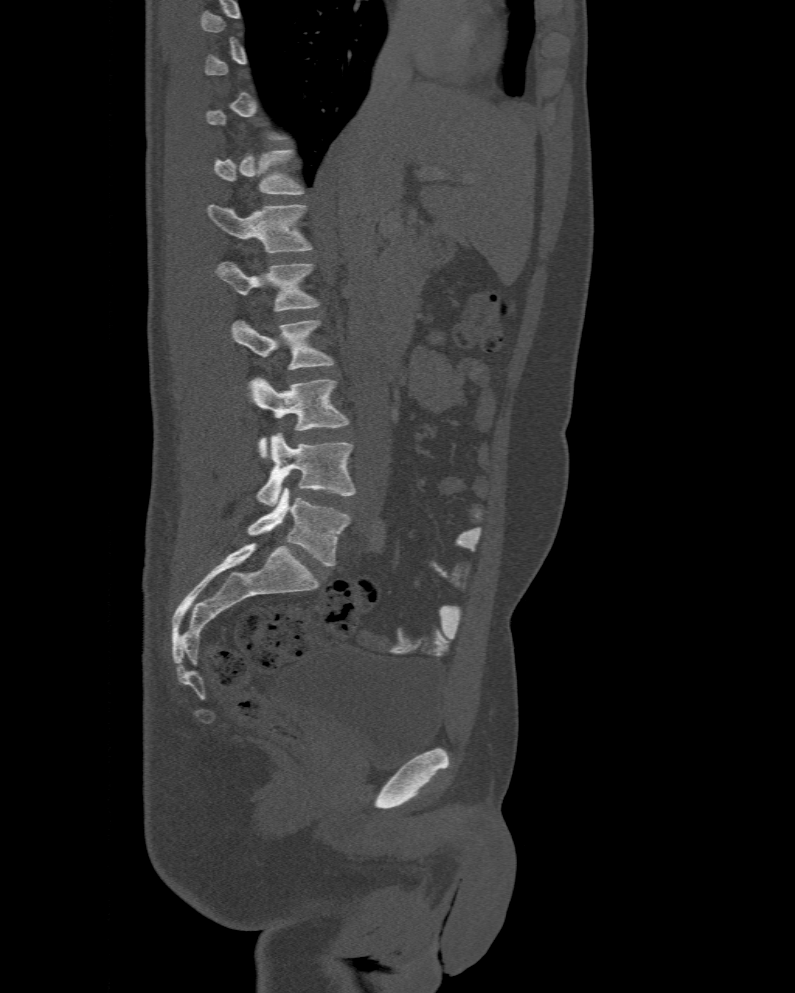
CT spine — sagittal view — bone window — 795x993 px
Boxes are given in columns x1, y1, x2, y2, the pixel coordinates of their top-left and bottom-right corners.
A vertebra is boxed only from the first to the last slice where its cross-section is at least a third of its largest; slices outside that range leave it without a box.
In these labels the spine has an L6, a sixth lumbar vertebra below L5.
| vertebra | x1 | y1 | x2 | y2 |
|---|---|---|---|---|
| L6 | 247 | 487 | 350 | 566 |
| L5 | 256 | 433 | 356 | 506 |
| L4 | 248 | 377 | 348 | 457 |
| L3 | 231 | 320 | 334 | 369 |
| L2 | 214 | 262 | 319 | 311 |
| L1 | 208 | 205 | 313 | 252 |
| T12 | 213 | 150 | 303 | 194 |